Spine computed tomography — sagittal plane, index 167 — W/L 1800/400 HU
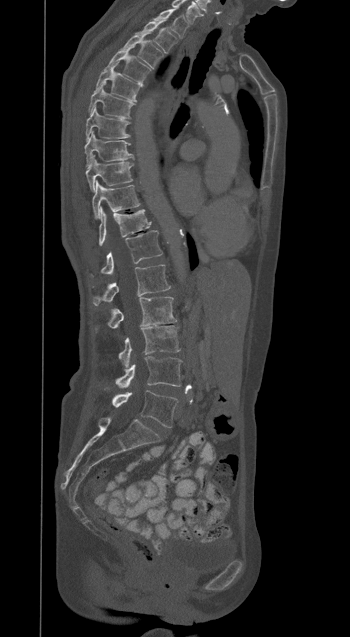

Box edges are left/top/right/bottom in pixels.
Vertebra bounding boxes:
- T1: left=153, top=8, right=188, bottom=38
- T2: left=136, top=21, right=177, bottom=52
- T3: left=122, top=35, right=163, bottom=68
- T4: left=107, top=49, right=150, bottom=82
- T5: left=96, top=66, right=142, bottom=101
- T6: left=88, top=84, right=133, bottom=118
- T7: left=85, top=107, right=129, bottom=140
- T8: left=84, top=131, right=133, bottom=167
- T9: left=86, top=155, right=132, bottom=191
- T10: left=92, top=181, right=140, bottom=218
- T11: left=99, top=207, right=150, bottom=246
- T12: left=101, top=230, right=162, bottom=274
- L1: left=92, top=265, right=170, bottom=305
- L2: left=95, top=297, right=176, bottom=330
- L3: left=118, top=326, right=180, bottom=368
- L4: left=115, top=356, right=181, bottom=388
- L5: left=112, top=390, right=177, bottom=427